Spine CT · Sagittal slice 240/512 · bone-window reconstruction · 512x980 px
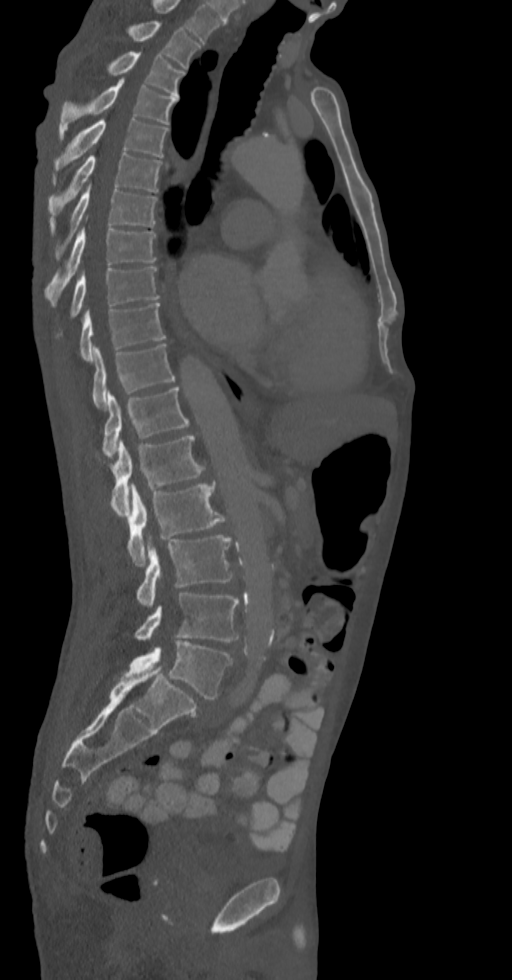
Box values are [left, top, right, bottom] in pixels.
This scan's labels start at T2 at the top and end at L5 at the bottom.
{"vertebrae":{"L5":[123,640,233,698],"L4":[135,593,238,642],"L3":[137,535,232,609],"L2":[128,482,230,566],"L1":[96,436,206,517],"T12":[102,387,189,456],"T11":[93,343,174,409],"T10":[80,302,165,362],"T9":[71,267,159,316],"T8":[45,226,156,304],"T7":[50,183,156,258],"T6":[48,152,162,217],"T5":[55,114,168,170],"T4":[59,78,177,139],"T3":[105,52,185,97],"T2":[125,21,201,69]}}